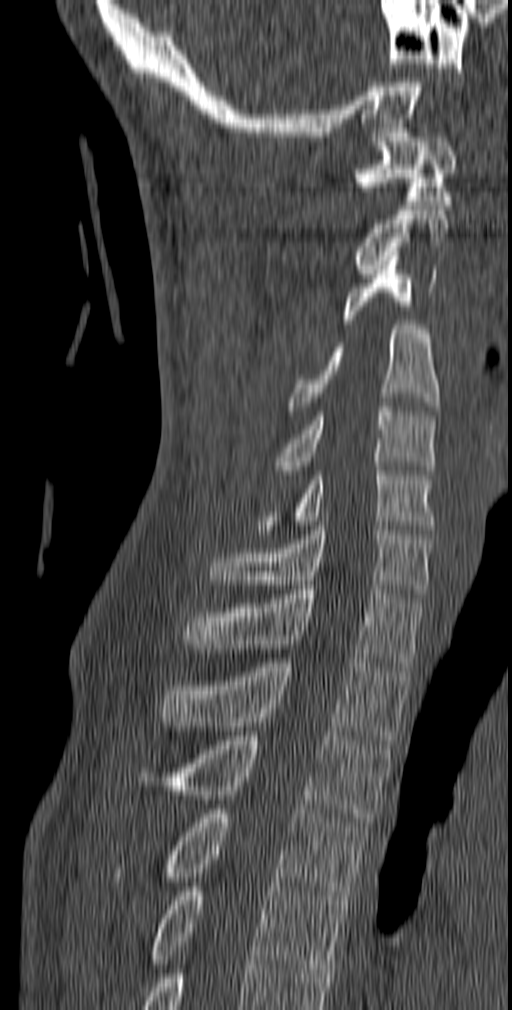

CT, spine · sagittal view · Bone window (WL 400, WW 1800) · 512x1010 px
Box values are [left, top, right, bottom] in pixels.
{"vertebrae":{"T5":[149,882,348,973],"T4":[113,809,367,900],"T3":[173,731,391,826],"T2":[161,658,411,740],"T1":[183,585,424,671],"C7":[208,526,432,598],"C6":[256,466,436,534],"C5":[270,407,436,474],"C4":[287,325,439,415],"C3":[343,251,437,324],"C2":[355,210,448,278],"C1":[355,133,456,205]}}